CT; sagittal reformat; Bone window (WL 400, WW 1800)
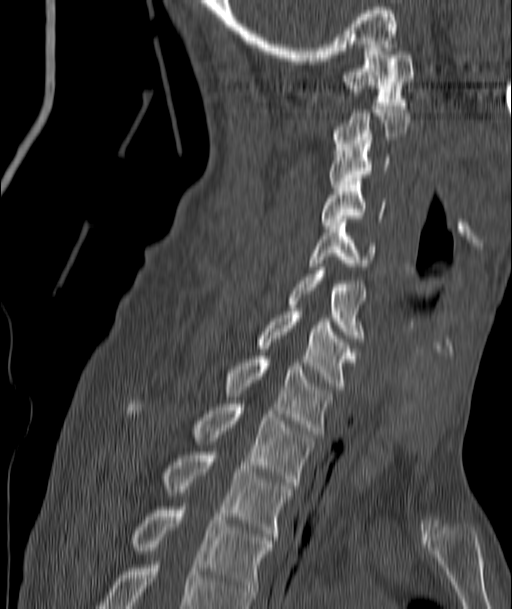 Each vertebra maps to its box as [x1, y1, x2, y2], the pixel coordinates of its top-left and bottom-right corners.
{"vertebrae":{"C1":[343,44,413,105],"C2":[332,106,411,150],"C3":[329,144,389,187],"C4":[321,181,383,225],"C5":[310,219,375,269],"C6":[220,270,367,341],"C7":[255,311,356,389],"T1":[225,356,331,437],"T2":[124,397,315,488],"T3":[162,452,293,540],"T4":[130,507,271,601]}}